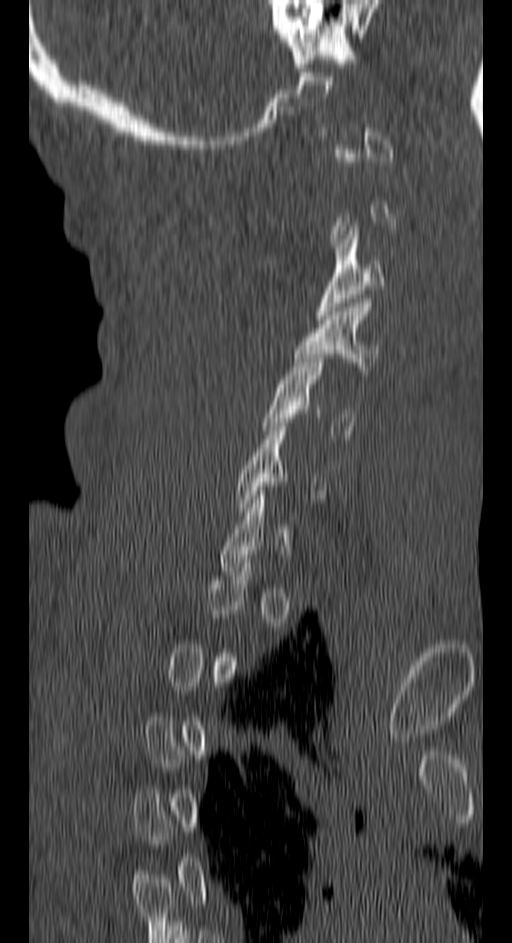

Spine CT. 150 mm image width. sagittal view
Each vertebra maps to its box as [x1, y1, x2, y2], the pixel coordinates of its top-left and bottom-right corners.
A vertebra is boxed only from the first to the last slice where its cross-section is at least a third of its largest; slices outside that range leave it without a box.
{"vertebrae":{"C3":[316,226,386,319],"C4":[294,299,378,370],"C5":[264,354,355,434]}}